Computed tomography of the spine · sagittal reformat · bone window · scan covers 16 annotated vertebrae
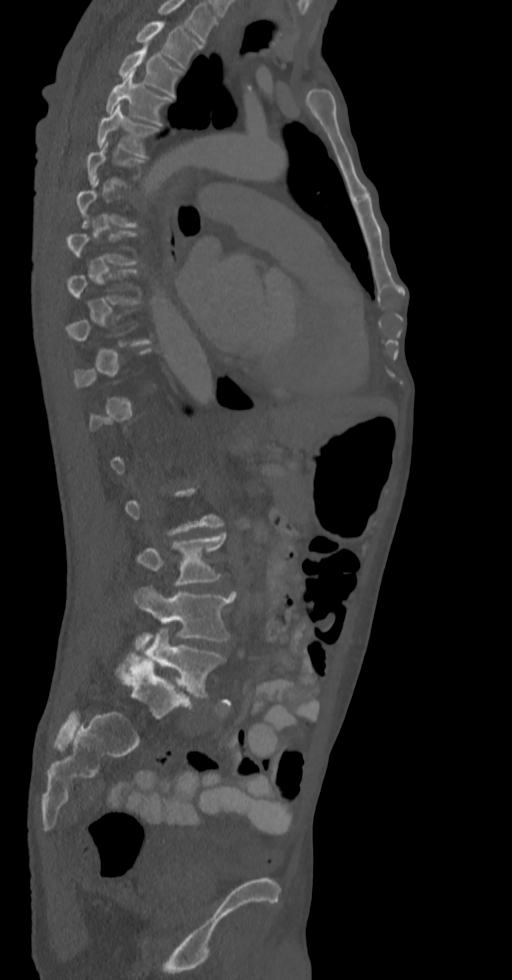 Box edges are left/top/right/bottom in pixels. A vertebra is boxed only from the first to the last slice where its cross-section is at least a third of its largest; slices outside that range leave it without a box. The highest labeled vertebra in this scan is T2; the lowest is L5. The labeled vertebrae in this slice are: T2 at left=135, top=21, right=201, bottom=69, T3 at left=119, top=47, right=182, bottom=97, T4 at left=105, top=73, right=174, bottom=125, T5 at left=96, top=105, right=159, bottom=156, L3 at left=137, top=533, right=226, bottom=584, L4 at left=132, top=585, right=235, bottom=651, L5 at left=146, top=628, right=226, bottom=697.